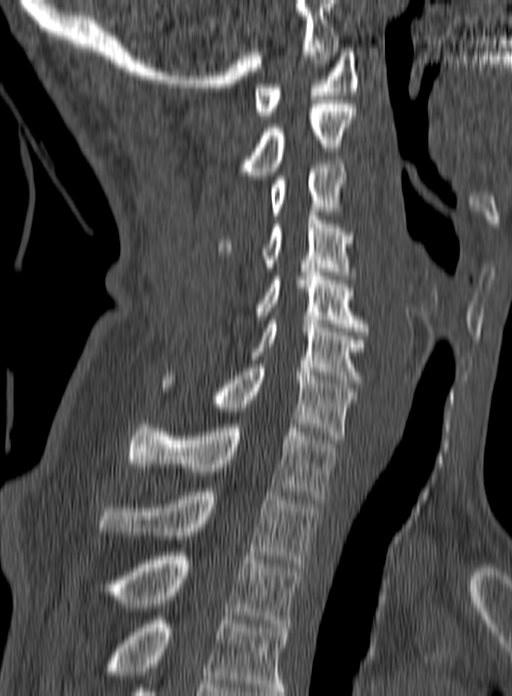 Spine CT; sagittal view; the image is 160 mm wide; 512x696 px
Box edges are left/top/right/bottom in pixels. In this scan, the topmost labeled vertebra is C1 and the lowest is T3. Vertebrae labeled: T3 at left=103, top=552, right=301, bottom=627, T2 at left=97, top=488, right=317, bottom=567, T1 at left=126, top=420, right=338, bottom=499, C7 at left=161, top=364, right=357, bottom=443, C6 at left=248, top=320, right=368, bottom=383, C5 at left=257, top=268, right=368, bottom=335, C4 at left=218, top=212, right=355, bottom=279, C3 at left=270, top=160, right=346, bottom=219, C2 at left=239, top=100, right=355, bottom=175, C1 at left=254, top=48, right=357, bottom=119.